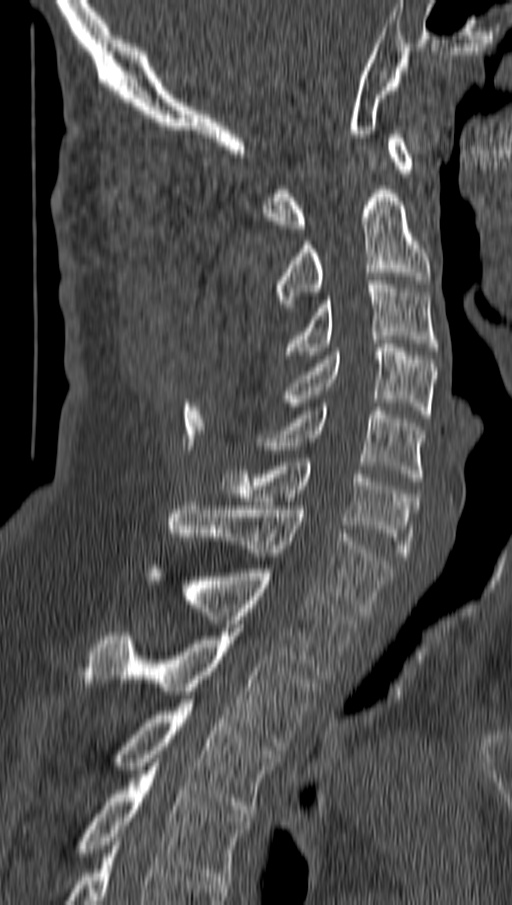
Spine CT · sagittal view · 512x905 px

Coordinates as <box>x1,y1,x2,y2</box>.
Vertebra bounding boxes:
- C1: <box>263,134,414,232</box>
- C2: <box>273,186,430,311</box>
- C3: <box>286,280,439,359</box>
- C4: <box>286,344,436,418</box>
- C5: <box>260,403,424,485</box>
- C6: <box>220,462,417,560</box>
- C7: <box>169,502,392,615</box>
- T1: <box>144,565,357,679</box>
- T2: <box>83,628,316,750</box>
- T3: <box>115,699,278,817</box>
- T4: <box>80,762,250,884</box>